CT spine · sagittal view · Bone window (WL 400, WW 1800) · 8 vertebrae labeled in this scan · 461 mm image width
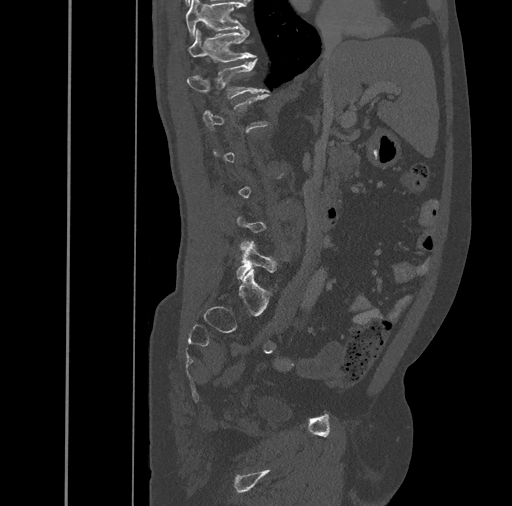 Boxes: x1:y1:x2:y2 in pixels.
A vertebra gets a box only on the slices from the first to the last where its cross-section is at least a third of its largest; on a slice outside that range it gets none.
Vertebra bounding boxes:
- L5: 236:241:276:278
- T12: 187:58:269:98
- T11: 188:29:254:62
- T10: 186:0:246:39